CT spine; sagittal view; image 342 mm wide; Bone window (WL 400, WW 1800); 512x642 px; scan covers 8 annotated vertebrae
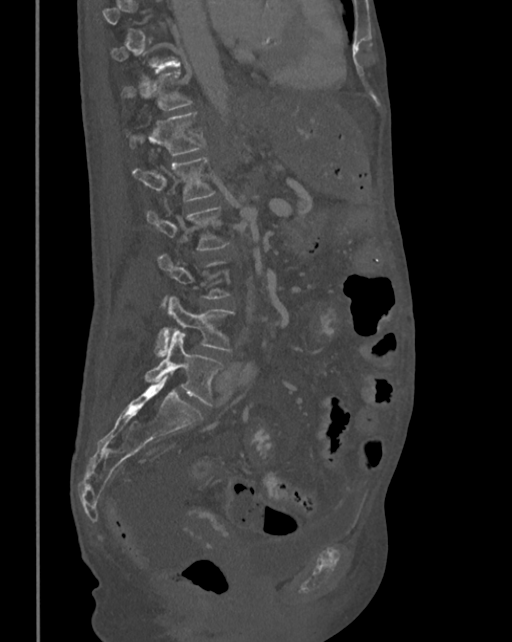 Box edges are left/top/right/bottom in pixels.
Each vertebra is boxed only on the slices from the first to the last where its cross-section reaches a third of its largest, so a slice outside that range leaves it unboxed.
| vertebra | x1 | y1 | x2 | y2 |
|---|---|---|---|---|
| T11 | 121 | 71 | 190 | 110 |
| T12 | 130 | 113 | 205 | 155 |
| L1 | 133 | 157 | 214 | 201 |
| L2 | 146 | 207 | 229 | 249 |
| L4 | 155 | 297 | 234 | 356 |
| L5 | 145 | 331 | 223 | 406 |